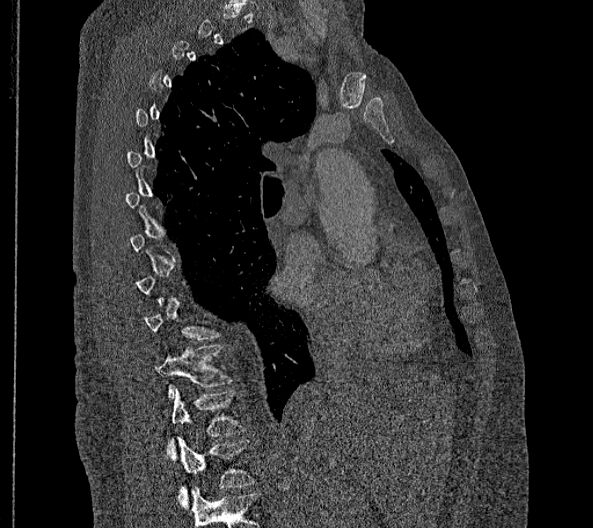 Computed tomography of the spine — sagittal view — W/L 1800/400 HU — 356 mm wide — 593x528 px
Coordinates as <box>x1,y1,x2,y2</box>. A vertebra gets a box only on the slices from the first to the last where its cross-section is at least a third of its largest; on a slice outside that range it gets none. The highest labeled vertebra in this scan is T2; the lowest is L2. These labels give this spine no T12: after T11 the next vertebra is L1. Vertebrae labeled: T11 at <box>155,345,232,402</box>, L1 at <box>167,388,244,460</box>, L2 at <box>176,438,254,509</box>.